CT, spine — the image is 268 mm wide — sagittal view
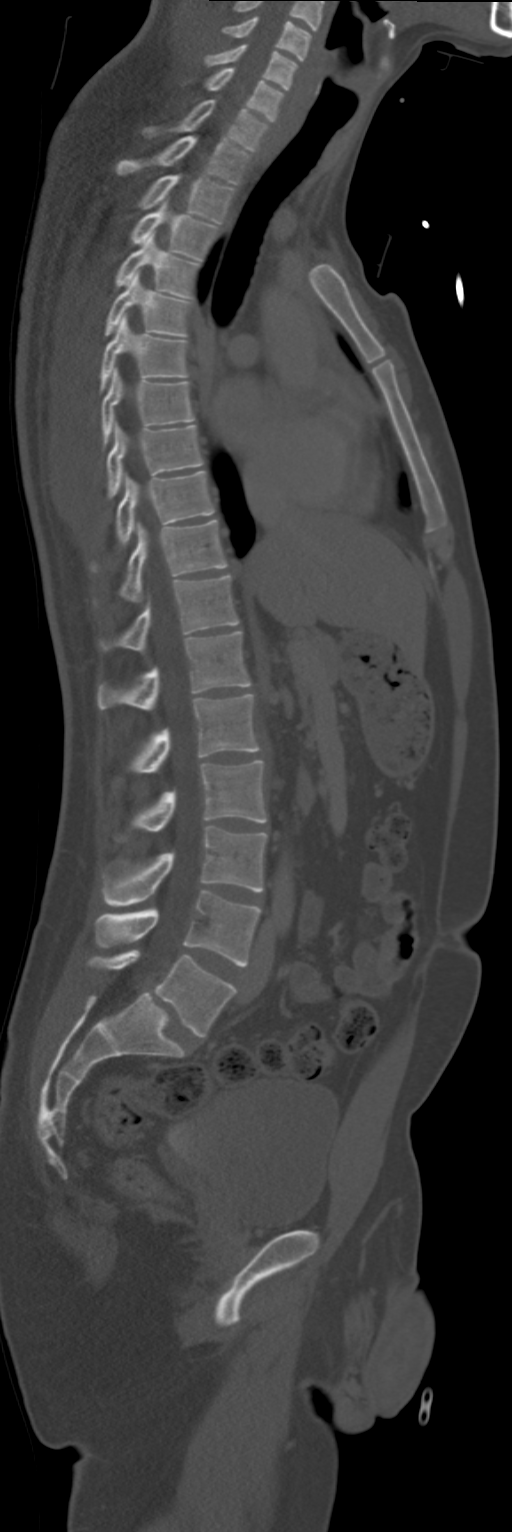
Coordinates as <box>x1,y1,x2,y2</box>.
C4: <box>222,18,311,61</box>
C5: <box>205,44,296,89</box>
C6: <box>205,67,282,122</box>
C7: <box>144,100,267,150</box>
T1: <box>117,136,248,185</box>
T2: <box>138,174,233,223</box>
T3: <box>130,200,217,259</box>
T4: <box>115,231,198,297</box>
T5: <box>104,272,192,336</box>
T6: <box>100,314,187,391</box>
T7: <box>102,368,194,445</box>
T8: <box>107,422,202,498</box>
T9: <box>94,470,213,569</box>
T10: <box>119,520,227,601</box>
T11: <box>100,575,238,651</box>
T12: <box>98,631,250,710</box>
L1: <box>130,694,259,773</box>
L2: <box>132,761,267,832</box>
L3: <box>104,826,267,905</box>
L4: <box>95,891,261,966</box>
L5: <box>88,950,234,1037</box>